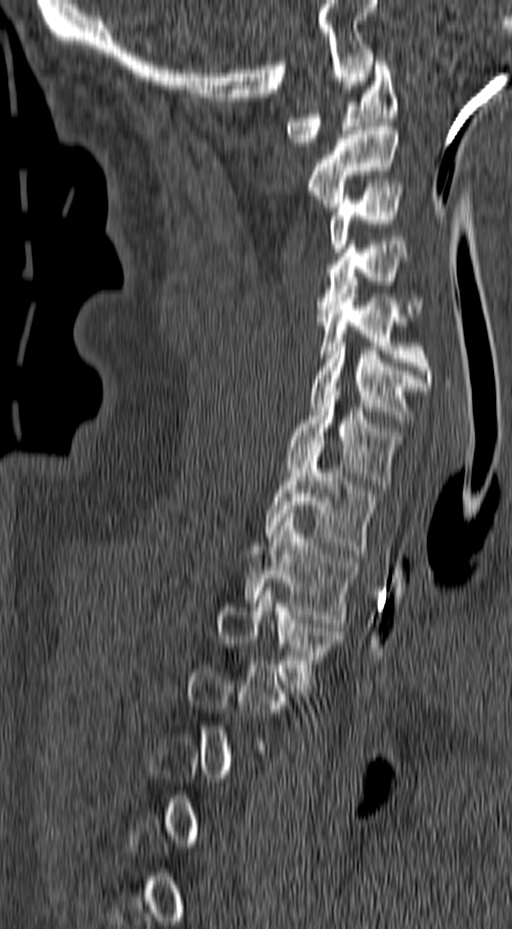

Computed tomography of the spine · sagittal reformat · image width 157 mm · Bone window (WL 400, WW 1800)
Each vertebra maps to its box as [x1, y1, x2, y2], the pixel coordinates of its top-left and bottom-right corners.
Each vertebra is boxed only on the slices from the first to the last where its cross-section reaches a third of its largest, so a slice outside that range leaves it unboxed.
{"vertebrae":{"C1":[285,57,398,146],"C2":[308,122,398,211],"C3":[329,183,403,252],"C4":[317,241,423,317],"C5":[317,289,433,386],"C6":[311,338,428,423],"C7":[285,387,401,488],"T1":[265,448,375,549],"T2":[244,514,356,627],"T3":[216,583,336,688]}}